Computed tomography of the spine — sagittal reformat — bone window
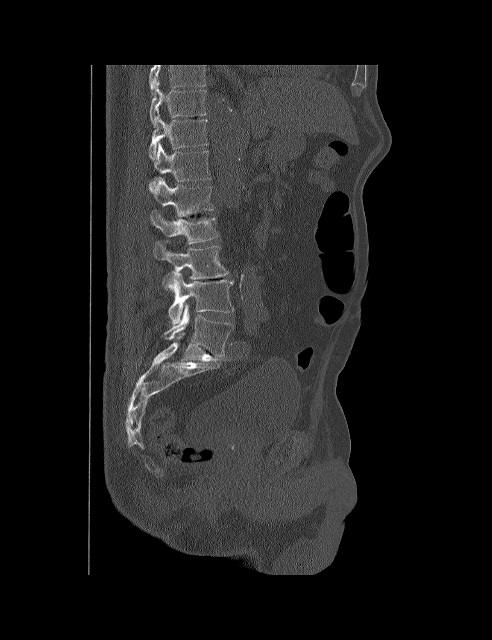 Each box given as x1,y1,x2,y2.
The highest labeled vertebra in this scan is T10; the lowest is L5.
| vertebra | x1 | y1 | x2 | y2 |
|---|---|---|---|---|
| T10 | 149 | 85 | 206 | 128 |
| T11 | 148 | 115 | 208 | 159 |
| T12 | 149 | 143 | 210 | 192 |
| L1 | 153 | 177 | 213 | 217 |
| L2 | 151 | 211 | 219 | 244 |
| L3 | 154 | 240 | 228 | 287 |
| L4 | 168 | 273 | 234 | 325 |
| L5 | 164 | 303 | 233 | 357 |